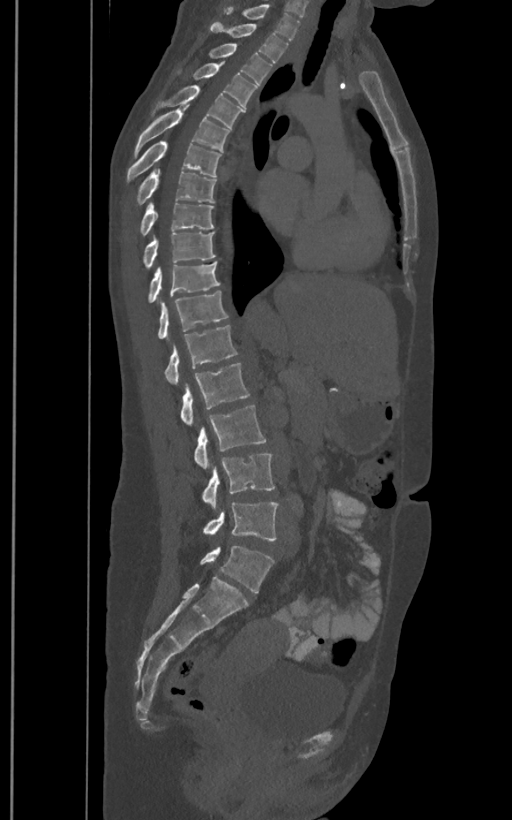
CT, spine; sagittal view; image 400 mm wide
In these labels the spine has an L6, a sixth lumbar vertebra below L5.
<vertebrae><v name="T1" x1="225" y1="5" x2="300" y2="39"/><v name="T2" x1="210" y1="22" x2="288" y2="62"/><v name="T3" x1="210" y1="44" x2="271" y2="85"/><v name="T4" x1="193" y1="61" x2="256" y2="107"/><v name="T5" x1="159" y1="85" x2="242" y2="127"/><v name="T6" x1="134" y1="105" x2="229" y2="157"/><v name="T7" x1="127" y1="141" x2="220" y2="183"/><v name="T8" x1="136" y1="165" x2="215" y2="205"/><v name="T9" x1="139" y1="202" x2="214" y2="235"/><v name="T10" x1="142" y1="232" x2="215" y2="269"/><v name="T11" x1="147" y1="262" x2="219" y2="302"/><v name="T12" x1="157" y1="290" x2="228" y2="338"/><v name="L1" x1="164" y1="325" x2="237" y2="384"/><v name="L2" x1="180" y1="362" x2="250" y2="425"/><v name="L3" x1="193" y1="406" x2="266" y2="469"/><v name="L4" x1="201" y1="453" x2="274" y2="507"/><v name="L5" x1="202" y1="501" x2="279" y2="540"/><v name="L6" x1="200" y1="545" x2="274" y2="592"/></vertebrae>